CT · Sagittal slice 238/512 · Bone window (WL 400, WW 1800) · 8 vertebrae labeled in this scan
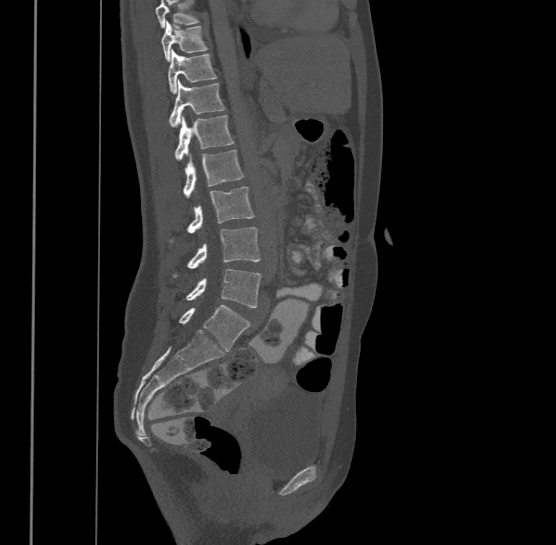 Box edges are left/top/right/bottom in pixels. No box is given to a vertebra that the top edge of the scan cuts off. This scan's labels start at T9 at the top and end at L4 at the bottom. Vertebrae labeled: T9 at left=161, top=20, right=207, bottom=61, T10 at left=168, top=49, right=217, bottom=92, T11 at left=169, top=78, right=225, bottom=127, T12 at left=175, top=113, right=233, bottom=160, L1 at left=183, top=150, right=243, bottom=197, L2 at left=188, top=186, right=255, bottom=232, L3 at left=188, top=227, right=261, bottom=268, L4 at left=187, top=268, right=262, bottom=307.